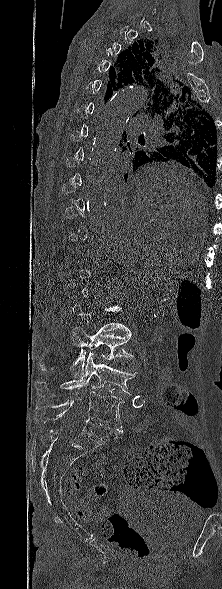
Computed tomography of the spine — sagittal reformat — bone-window reconstruction
Not every vertebra on this slice has a box: a vertebra is boxed only from the first to the last slice where its cross-section is at least a third of its largest, and this slice is outside that range for at least one of them.
<vertebrae><v name="L5" x1="35" y1="392" x2="123" y2="432"/><v name="L4" x1="34" y1="352" x2="136" y2="396"/><v name="L3" x1="40" y1="327" x2="133" y2="377"/></vertebrae>